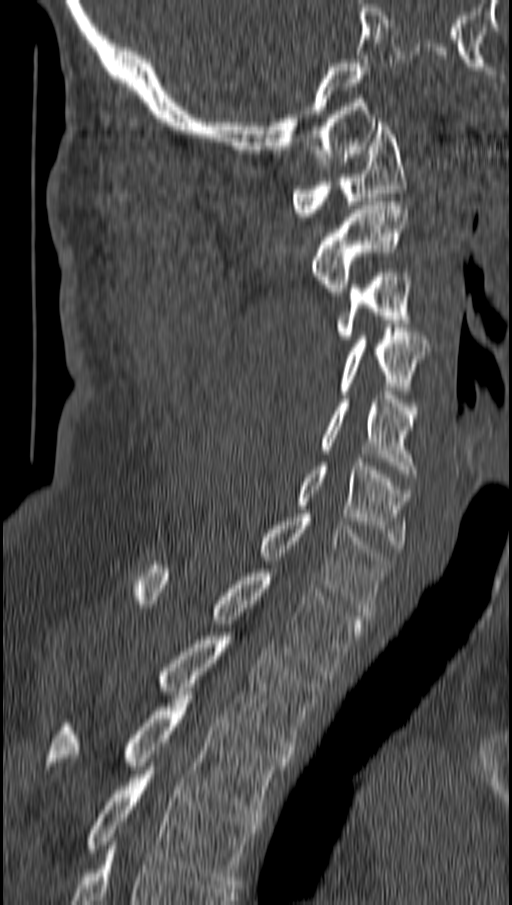 Spine computed tomography — sagittal view
Boxes are (x1, y1, x2, y2) in pixels.
Vertebra bounding boxes:
- C1: (292, 122, 405, 216)
- C2: (311, 201, 408, 295)
- C3: (336, 273, 411, 343)
- C4: (339, 328, 429, 394)
- C5: (320, 391, 417, 477)
- C6: (298, 458, 411, 548)
- C7: (260, 514, 389, 615)
- T1: (136, 565, 364, 675)
- T2: (159, 636, 319, 754)
- T3: (45, 691, 288, 817)
- T4: (86, 766, 259, 888)